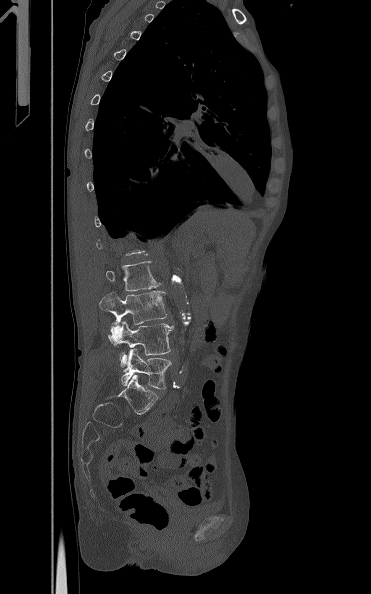
Spine CT · sagittal view

Boxes: x1:y1:x2:y2 in pixels.
Each vertebra is boxed only on the slices from the first to the last where its cross-section reaches a third of its largest, so a slice outside that range leaves it unboxed.
Vertebra bounding boxes:
- L2: 105:261:161:291
- L3: 99:290:167:324
- L4: 108:321:174:366
- L5: 121:348:171:389